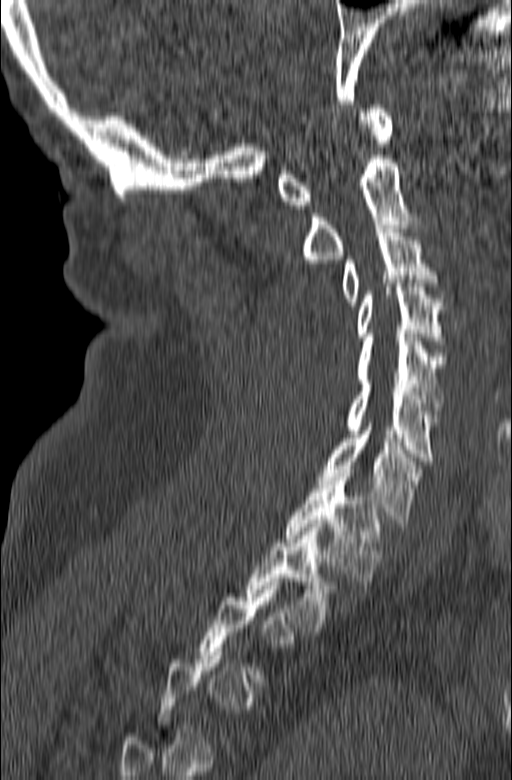 Computed tomography of the spine; sagittal view; Bone window (WL 400, WW 1800); 165 mm wide
Each box given as x1,y1,x2,y2.
Each vertebra is boxed only on the slices from the first to the last where its cross-section reaches a third of its largest, so a slice outside that range leaves it unboxed.
C1: x1=277, y1=105, x2=393, y2=208
C2: x1=302, y1=151, x2=421, y2=263
C3: x1=342, y1=225, x2=438, y2=305
C4: x1=355, y1=279, x2=444, y2=344
C5: x1=358, y1=334, x2=445, y2=418
C6: x1=345, y1=380, x2=438, y2=464
C7: x1=318, y1=419, x2=425, y2=527
T1: x1=285, y1=469, x2=381, y2=585
T2: x1=245, y1=520, x2=336, y2=631